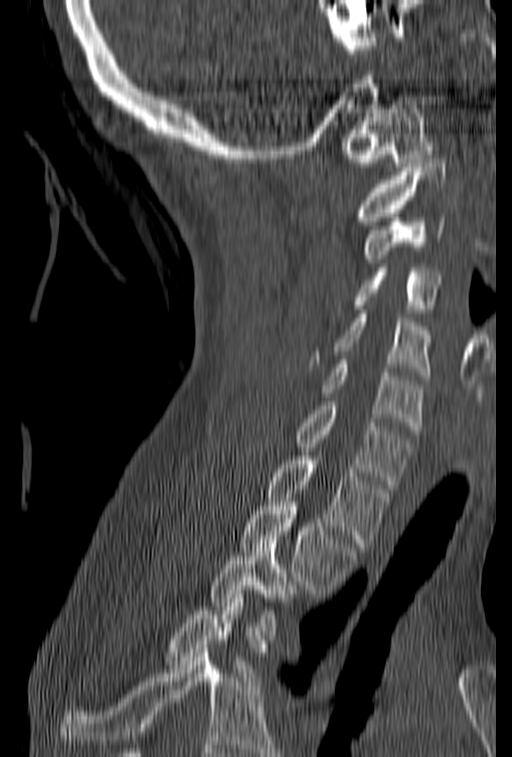

CT spine; sagittal view; the image spans 153 mm across
A vertebra cut off by the bottom edge of the scan is not labeled and has no box.
<vertebrae><v name="C1" x1="340" y1="100" x2="432" y2="166"/><v name="C2" x1="353" y1="159" x2="445" y2="225"/><v name="C3" x1="363" y1="213" x2="445" y2="263"/><v name="C4" x1="350" y1="268" x2="442" y2="317"/><v name="C5" x1="307" y1="310" x2="432" y2="380"/><v name="C6" x1="319" y1="360" x2="425" y2="430"/><v name="C7" x1="292" y1="397" x2="412" y2="488"/><v name="T1" x1="267" y1="452" x2="392" y2="547"/><v name="T2" x1="239" y1="498" x2="358" y2="593"/><v name="T3" x1="209" y1="535" x2="296" y2="635"/><v name="T4" x1="162" y1="590" x2="259" y2="681"/></vertebrae>